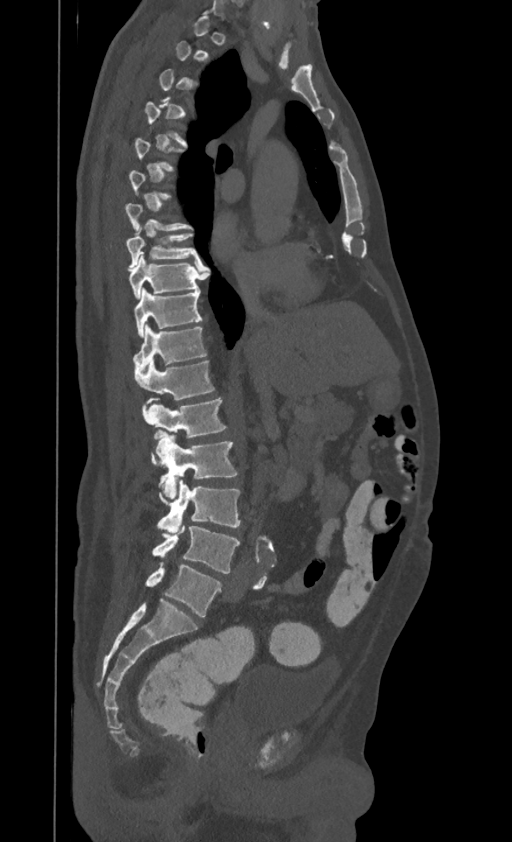 CT spine. the image is 395 mm wide. sagittal reformat
A vertebra gets a box only on the slices from the first to the last where its cross-section is at least a third of its largest; on a slice outside that range it gets none.
In this scan, the topmost labeled vertebra is T1 and the lowest is L4.
<vertebrae><v name="T7" x1="126" y1="203" x2="192" y2="231"/><v name="T8" x1="126" y1="225" x2="200" y2="270"/><v name="T9" x1="129" y1="251" x2="205" y2="299"/><v name="T10" x1="135" y1="289" x2="202" y2="337"/><v name="T11" x1="133" y1="324" x2="206" y2="372"/><v name="T12" x1="135" y1="360" x2="214" y2="404"/><v name="L1" x1="142" y1="398" x2="226" y2="453"/><v name="L2" x1="152" y1="430" x2="237" y2="499"/><v name="L3" x1="157" y1="479" x2="240" y2="532"/><v name="L4" x1="153" y1="521" x2="239" y2="573"/></vertebrae>